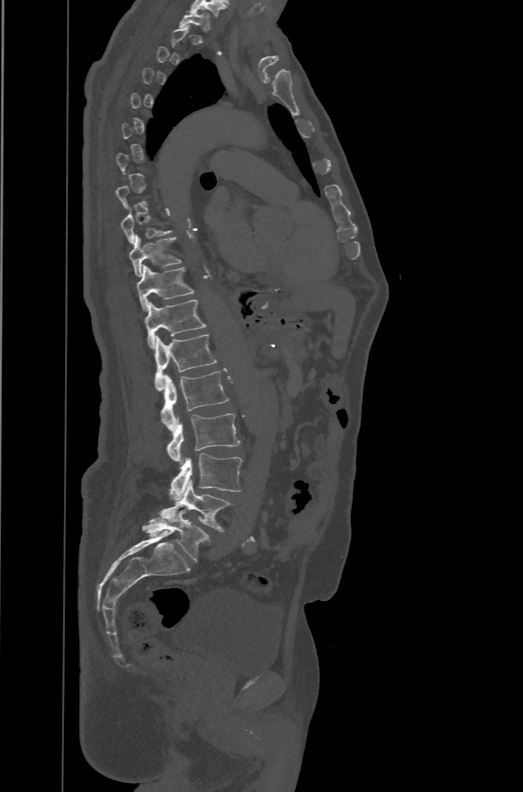
CT · the image is 471 mm wide · sagittal view · 523x792 px
Not every vertebra on this slice has a box: a vertebra is boxed only from the first to the last slice where its cross-section is at least a third of its largest, and this slice is outside that range for at least one of them.
The labels name a sixth lumbar vertebra for this spine: L6, after L5.
<vertebrae><v name="L6" x1="141" y1="510" x2="210" y2="561"/><v name="L5" x1="159" y1="480" x2="233" y2="531"/><v name="L4" x1="169" y1="453" x2="242" y2="500"/><v name="L3" x1="166" y1="413" x2="240" y2="464"/><v name="L2" x1="160" y1="371" x2="229" y2="431"/><v name="L1" x1="154" y1="334" x2="217" y2="390"/><v name="T12" x1="144" y1="299" x2="206" y2="349"/><v name="T11" x1="136" y1="264" x2="194" y2="311"/><v name="T10" x1="129" y1="234" x2="182" y2="277"/><v name="T9" x1="121" y1="209" x2="173" y2="243"/><v name="T1" x1="179" y1="10" x2="211" y2="30"/></vertebrae>